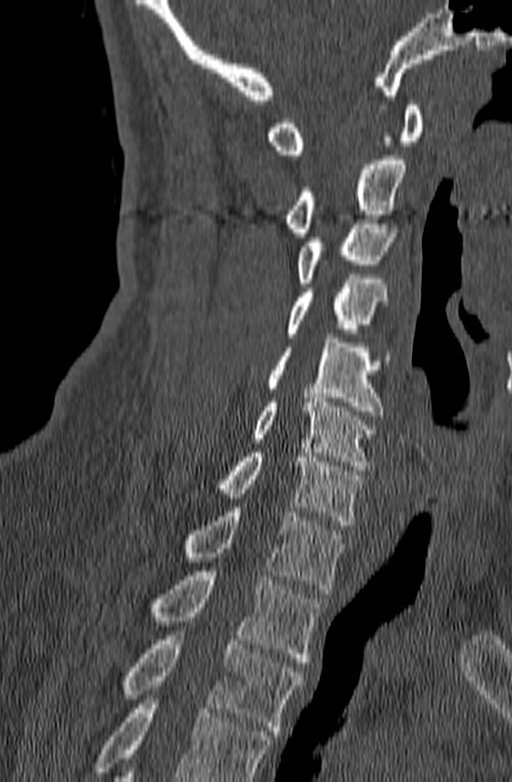
CT spine; sagittal view; 512x782 px. Each row gives a vertebra's box as x1, y1, x2, y2 in pixels: top-left corner, then bottom-right corner.
Vertebrae that run past the bottom of the scan are left unlabeled.
| vertebra | x1 | y1 | x2 | y2 |
|---|---|---|---|---|
| C1 | 265 | 101 | 423 | 154 |
| C2 | 283 | 155 | 406 | 237 |
| C3 | 298 | 219 | 395 | 287 |
| C4 | 287 | 274 | 387 | 337 |
| C5 | 265 | 338 | 389 | 415 |
| C6 | 250 | 393 | 375 | 470 |
| C7 | 213 | 448 | 362 | 525 |
| T1 | 181 | 507 | 347 | 593 |
| T2 | 148 | 571 | 319 | 662 |
| T3 | 122 | 631 | 305 | 735 |